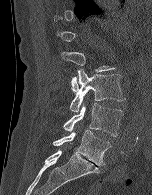
CT · sagittal view · Bone window (WL 400, WW 1800) · 152x195 px
Boxes: x1 y1 x2 y2 (pixel coords, space-separated).
Not every vertebra on this slice has a box: a vertebra is boxed only from the first to the last slice where its cross-section is at least a third of its largest, and this slice is outside that range for at least one of them.
Vertebra bounding boxes:
- L2: 61 51 115 92
- L3: 69 69 125 112
- L4: 63 103 123 136
- L5: 53 130 111 165